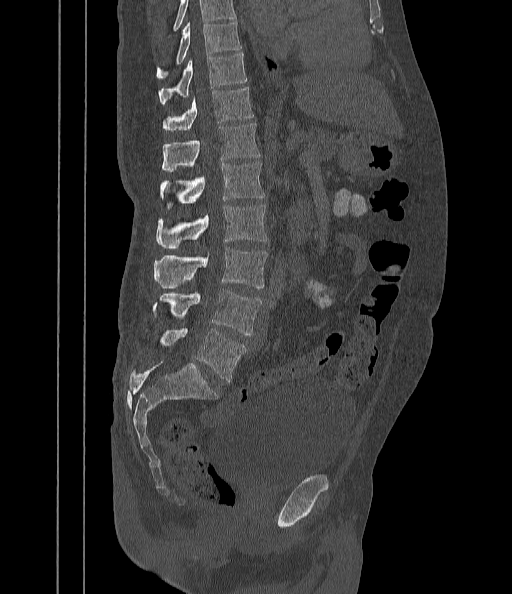

Computed tomography of the spine — sagittal view — Bone window (WL 400, WW 1800)

Columns x1, y1, x2, y2 give each box's top-left and bottom-right pixels.
Vertebrae that run past the top of the scan are left unlabeled.
| vertebra | x1 | y1 | x2 | y2 |
|---|---|---|---|---|
| L5 | 161 | 328 | 246 | 381 |
| L4 | 153 | 290 | 261 | 336 |
| L3 | 154 | 247 | 267 | 289 |
| L2 | 155 | 205 | 268 | 247 |
| L1 | 161 | 162 | 264 | 208 |
| T12 | 162 | 123 | 261 | 171 |
| T11 | 163 | 87 | 253 | 131 |
| T10 | 159 | 54 | 247 | 105 |
| T9 | 156 | 23 | 241 | 79 |